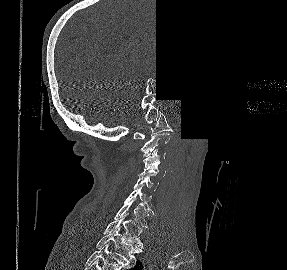

Computed tomography of the spine; sagittal reformat; Bone window (WL 400, WW 1800); a portion of the image is blanked out (constant pixel value)

<vertebrae><v name="T2" x1="96" y1="227" x2="141" y2="265"/><v name="T1" x1="103" y1="213" x2="143" y2="248"/><v name="C7" x1="114" y1="197" x2="148" y2="227"/><v name="C6" x1="123" y1="186" x2="154" y2="214"/><v name="C5" x1="134" y1="174" x2="158" y2="192"/><v name="C4" x1="138" y1="162" x2="167" y2="177"/><v name="C3" x1="143" y1="149" x2="165" y2="167"/><v name="C2" x1="140" y1="133" x2="169" y2="156"/><v name="C1" x1="133" y1="112" x2="173" y2="138"/></vertebrae>